CT, spine · sagittal reformat
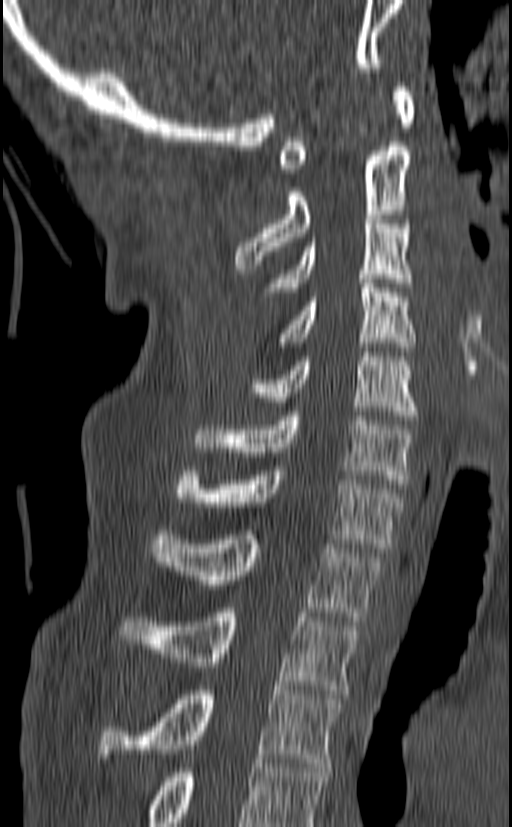
Each row gives a vertebra's box as x1, y1, x2, y2 in pixels: top-left corner, then bottom-right corner.
The highest labeled vertebra in this scan is C1; the lowest is T3.
| vertebra | x1 | y1 | x2 | y2 |
|---|---|---|---|---|
| C1 | 279 | 82 | 414 | 173 |
| C2 | 235 | 146 | 410 | 269 |
| C3 | 262 | 215 | 413 | 296 |
| C4 | 279 | 274 | 415 | 351 |
| C5 | 249 | 352 | 417 | 420 |
| C6 | 192 | 411 | 414 | 488 |
| C7 | 177 | 466 | 403 | 552 |
| T1 | 150 | 530 | 381 | 621 |
| T2 | 120 | 608 | 359 | 694 |
| T3 | 98 | 686 | 341 | 767 |